Spine computed tomography · Sagittal slice 54/96 · 596x776 px
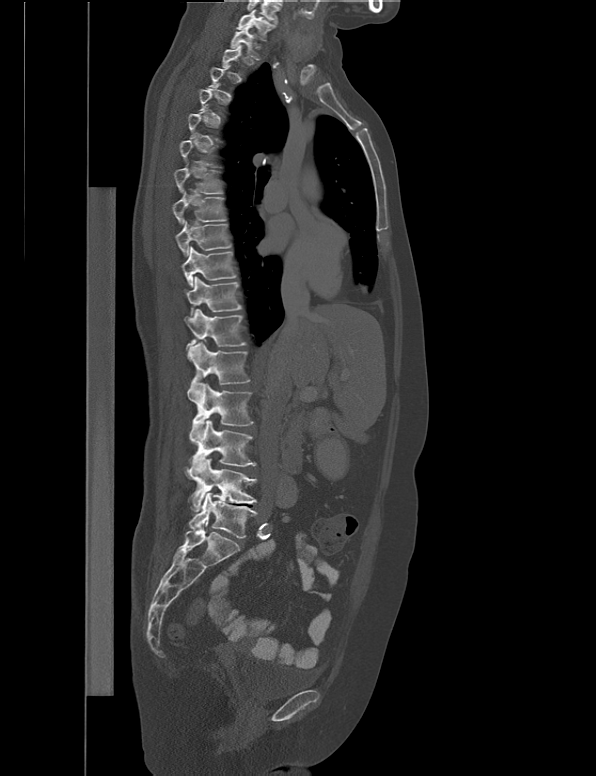
Each vertebra is boxed only on the slices from the first to the last where its cross-section reaches a third of its largest, so a slice outside that range leaves it unboxed.
<vertebrae><v name="C7" x1="237" y1="10" x2="275" y2="37"/><v name="T1" x1="230" y1="26" x2="258" y2="60"/><v name="T7" x1="174" y1="161" x2="222" y2="193"/><v name="T8" x1="173" y1="192" x2="226" y2="224"/><v name="T9" x1="175" y1="221" x2="232" y2="256"/><v name="T10" x1="182" y1="246" x2="235" y2="286"/><v name="T11" x1="186" y1="277" x2="241" y2="316"/><v name="T12" x1="184" y1="309" x2="246" y2="359"/><v name="L1" x1="187" y1="342" x2="250" y2="401"/><v name="L2" x1="190" y1="383" x2="253" y2="442"/><v name="L3" x1="188" y1="420" x2="255" y2="471"/><v name="L4" x1="184" y1="458" x2="258" y2="511"/><v name="L5" x1="188" y1="493" x2="257" y2="537"/></vertebrae>